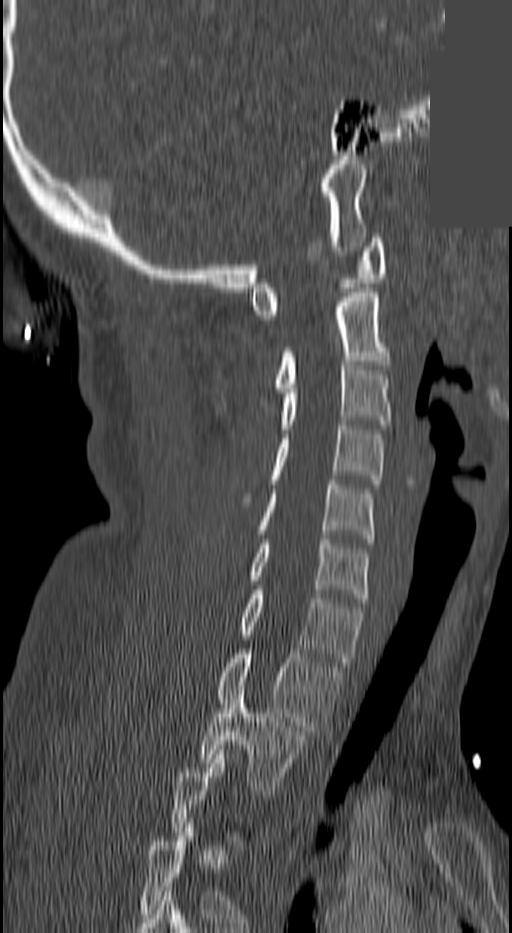 CT spine — sagittal view — W/L 1800/400 HU — 512x933 px — image width 140 mm — part of the image is a flat gray fill, not anatomy
A vertebra gets a box only on the slices from the first to the last where its cross-section is at least a third of its largest; on a slice outside that range it gets none.
<vertebrae><v name="C1" x1="250" y1="238" x2="384" y2="319"/><v name="C2" x1="276" y1="293" x2="388" y2="392"/><v name="C3" x1="280" y1="361" x2="392" y2="433"/><v name="C4" x1="245" y1="421" x2="384" y2="502"/><v name="C5" x1="257" y1="480" x2="373" y2="543"/><v name="C6" x1="250" y1="539" x2="370" y2="602"/><v name="C7" x1="239" y1="590" x2="362" y2="666"/><v name="T1" x1="217" y1="649" x2="340" y2="735"/><v name="T2" x1="199" y1="690" x2="305" y2="794"/></vertebrae>